CT spine · Sagittal slice 90/171
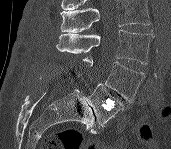 Box values are [left, top, right, bottom] in pixels.
No box is given to a vertebra that the top edge of the scan cuts off.
{"vertebrae":{"L3":[56,30,154,64],"L4":[83,57,146,102],"L5":[83,84,123,126]}}